CT — sagittal view
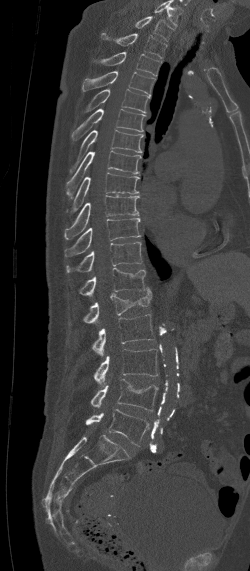

Boxes below are [x1, y1, x2, y2] in pixels.
Labels in this scan begin with C7 at the top and end with L5 at the bottom.
{"vertebrae":{"C7":[135,16,173,39],"T1":[101,33,167,58],"T2":[100,52,161,75],"T3":[82,71,155,96],"T4":[86,89,149,113],"T5":[71,108,146,140],"T6":[68,130,143,174],"T7":[66,150,141,197],"T8":[67,172,139,212],"T9":[64,195,138,239],"T10":[64,218,140,256],"T11":[66,242,142,272],"T12":[78,267,146,296],"L1":[83,287,152,323],"L2":[92,314,155,356],"L3":[94,349,157,384],"L4":[90,378,158,410],"L5":[85,409,150,445]}}